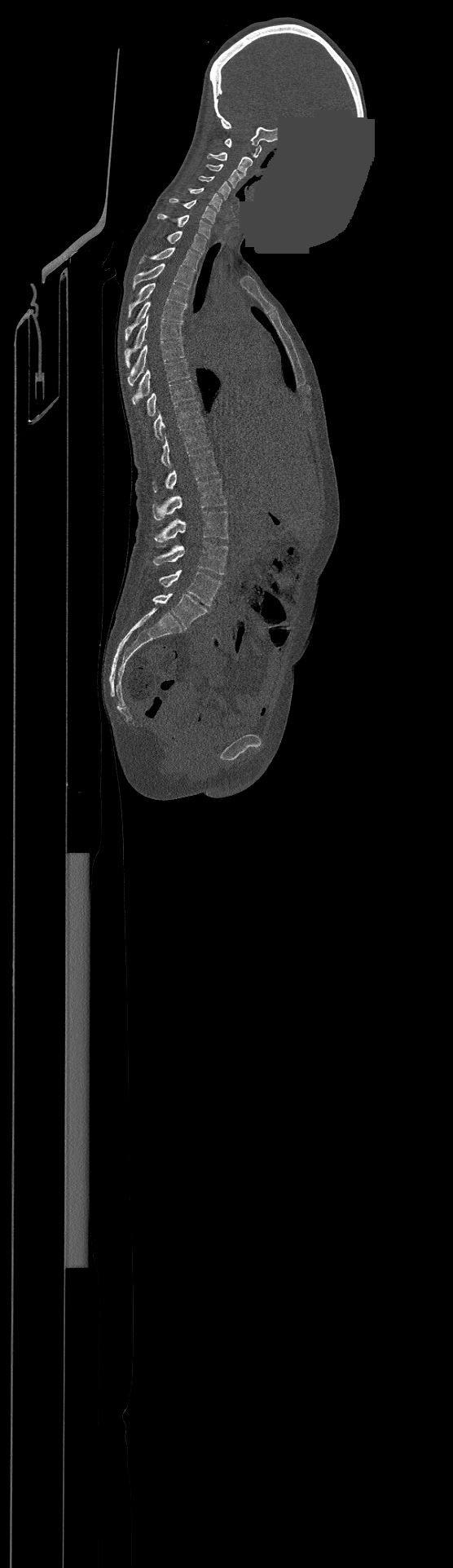 Spine computed tomography; the image spans 500 mm across; sagittal view; an area of the scan was removed and filled with constant pixels
Each box is [x1, y1, x2, y2] in pixels: top-left corner, then bottom-right corner.
The highest labeled vertebra in this scan is C1; the lowest is L4.
{"vertebrae":{"L4":[159,570,221,605],"L3":[153,542,227,574],"L2":[155,510,228,541],"L1":[152,479,226,520],"T12":[153,450,218,492],"T11":[161,426,209,466],"T10":[154,402,203,439],"T9":[147,380,195,416],"T8":[132,360,189,404],"T7":[127,340,184,386],"T6":[124,315,183,368],"T5":[125,302,186,341],"T4":[128,282,188,317],"T3":[133,263,194,288],"T2":[139,247,200,270],"T1":[167,231,205,254],"C7":[157,214,211,238],"C6":[169,198,216,223],"C5":[189,188,222,211],"C4":[199,175,231,199],"C3":[206,164,242,188],"C2":[207,152,253,174],"C1":[225,139,261,157]}}